Spine computed tomography; sagittal view; 16 vertebrae labeled in this scan
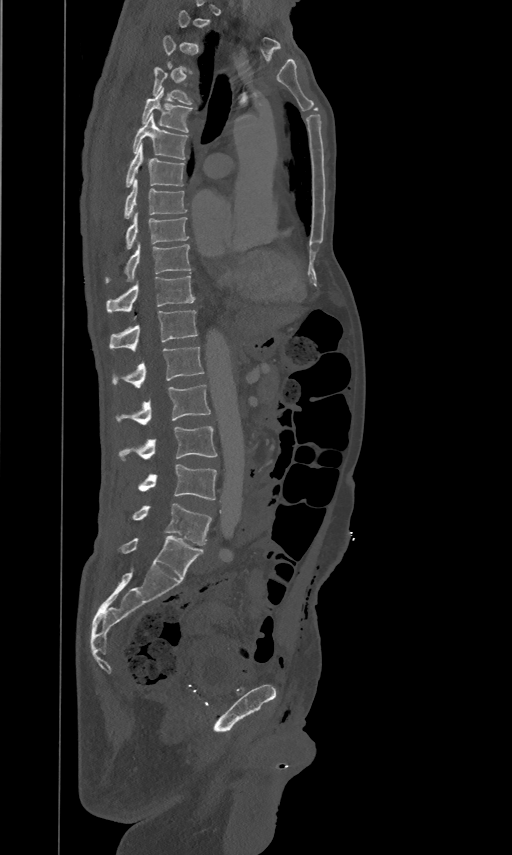
Each box is [x1, y1, x2, y2] in pixels: top-left corner, then bottom-right corner.
A vertebra is boxed only from the first to the last slice where its cross-section is at least a third of its largest; slices outside that range leave it without a box.
{"vertebrae":{"L5":[132,503,211,545],"L4":[138,464,216,500],"L3":[118,425,216,461],"L2":[116,384,210,424],"L1":[112,345,203,387],"T12":[109,310,198,349],"T11":[106,274,194,311],"T10":[107,241,190,280],"T9":[125,211,188,248],"T8":[124,178,187,218],"T7":[127,142,183,185],"T6":[133,113,187,159],"T5":[142,87,192,132],"T4":[153,66,191,104]}}